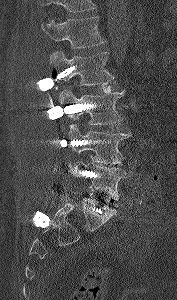

CT; sagittal reformat; image width 177 mm; 177x300 px

Boxes are (x1, y1, x2, y2) in pixels.
No box is given to a vertebra that the top edge of the scan cuts off.
L5: (69, 162, 129, 199)
L4: (64, 124, 131, 163)
L3: (59, 88, 124, 124)
L2: (49, 50, 115, 94)
L1: (41, 16, 106, 48)